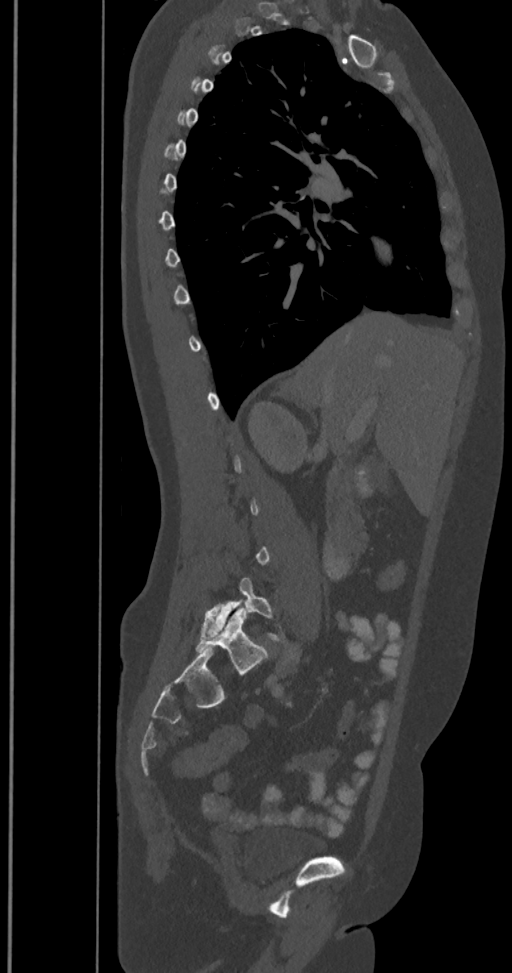 Spine computed tomography. sagittal reformat. 512x973 px
Box edges are left/top/right/bottom in pixels.
A vertebra gets a box only on the slices from the first to the last where its cross-section is at least a third of its largest; on a slice outside that range it gets none.
In these labels the spine has an L6, a sixth lumbar vertebra below L5.
| vertebra | x1 | y1 | x2 | y2 |
|---|---|---|---|---|
| L6 | 196 | 607 | 268 | 673 |
| L5 | 201 | 578 | 285 | 643 |